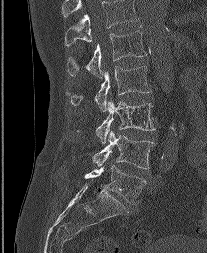 Spine computed tomography; 207 mm across the image; sagittal view; bone window
In the table, x1 and y1 are a box's top-left corner and x2 and y2 its bottom-right corner, in pixels.
In this scan, the topmost labeled vertebra is L1 and the lowest is L5.
| vertebra | x1 | y1 | x2 | y2 |
|---|---|---|---|---|
| L1 | 66 | 26 | 146 | 77 |
| L2 | 67 | 66 | 150 | 111 |
| L3 | 96 | 99 | 154 | 143 |
| L4 | 93 | 131 | 155 | 169 |
| L5 | 85 | 165 | 146 | 203 |